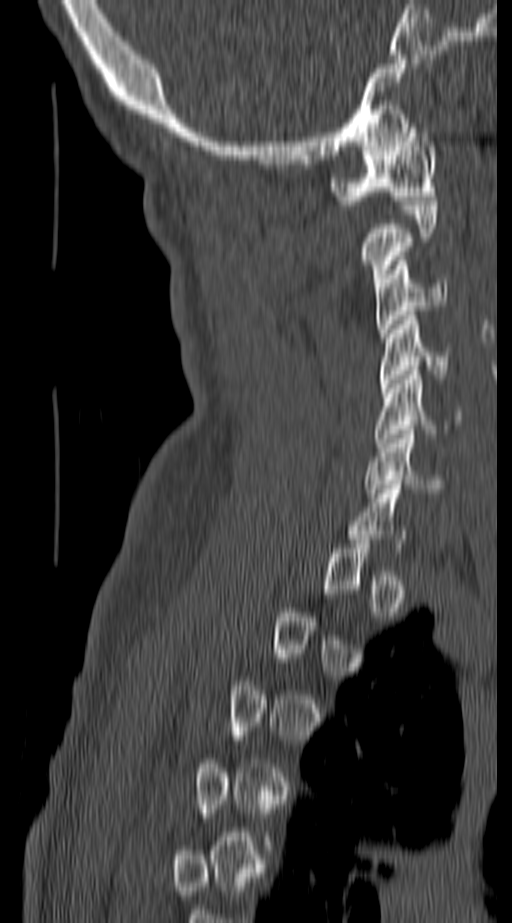 Computed tomography of the spine · sagittal view · Bone window (WL 400, WW 1800)

Coordinates as <box>x1,y1,x2,y2</box>.
A vertebra gets a box only on the slices from the first to the last where its cross-section is at least a third of its largest; on a slice outside that range it gets none.
Vertebra bounding boxes:
- C1: <box>330,123,436,205</box>
- C2: <box>363,201,436,287</box>
- C3: <box>374,256,447,337</box>
- C4: <box>378,311,447,388</box>
- C5: <box>373,370,465,447</box>
- C6: <box>365,430,441,493</box>